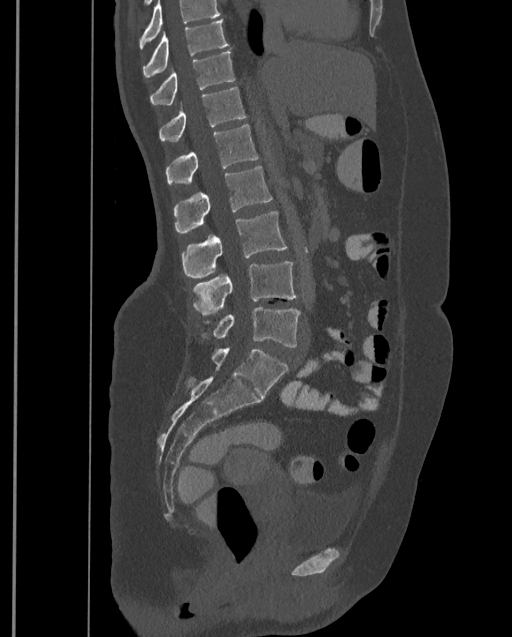 Spine CT; sagittal view; bone window; 512x637 px. Boxes are given in columns x1, y1, x2, y2, the pixel coordinates of their top-left and bottom-right corners.
A vertebra cut off by the top edge of the scan is not labeled and has no box.
Labels in this scan begin with T9 at the top and end with L4 at the bottom.
| vertebra | x1 | y1 | x2 | y2 |
|---|---|---|---|---|
| T9 | 142 | 20 | 229 | 78 |
| T10 | 150 | 50 | 235 | 104 |
| T11 | 159 | 87 | 245 | 141 |
| T12 | 165 | 125 | 258 | 185 |
| L1 | 173 | 165 | 272 | 232 |
| L2 | 182 | 211 | 288 | 277 |
| L3 | 192 | 262 | 297 | 315 |
| L4 | 201 | 306 | 300 | 347 |